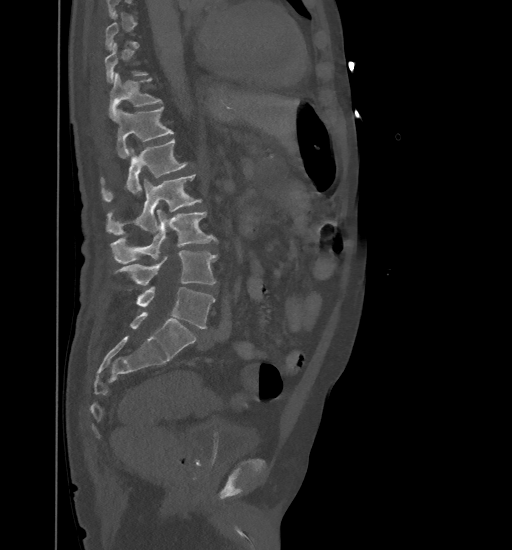 CT · sagittal view · bone-window reconstruction
Each box given as x1,y1,x2,y2.
A vertebra is boxed only from the first to the last slice where its cross-section is at least a third of its largest; slices outside that range leave it without a box.
| vertebra | x1 | y1 | x2 | y2 |
|---|---|---|---|---|
| L5 | 136 | 287 | 215 | 328 |
| L4 | 115 | 250 | 217 | 285 |
| L3 | 111 | 209 | 216 | 264 |
| L2 | 106 | 173 | 201 | 235 |
| L1 | 102 | 139 | 186 | 201 |
| T12 | 116 | 107 | 173 | 158 |
| T11 | 109 | 73 | 161 | 122 |